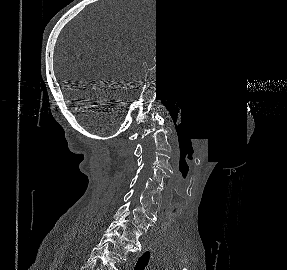

CT. sagittal view. 287x270 px. an area of the scan was removed and filled with constant pixels

Each box given as x1,y1,x2,y2.
Labels in this scan begin with C1 at the top and end with T2 at the bottom.
| vertebra | x1 | y1 | x2 | y2 |
|---|---|---|---|---|
| C1 | 129 | 113 | 164 | 139 |
| C2 | 134 | 115 | 170 | 156 |
| C3 | 137 | 152 | 172 | 173 |
| C4 | 136 | 163 | 169 | 188 |
| C5 | 129 | 175 | 162 | 206 |
| C6 | 123 | 189 | 159 | 220 |
| C7 | 114 | 201 | 156 | 231 |
| T1 | 104 | 212 | 141 | 247 |
| T2 | 93 | 226 | 140 | 259 |